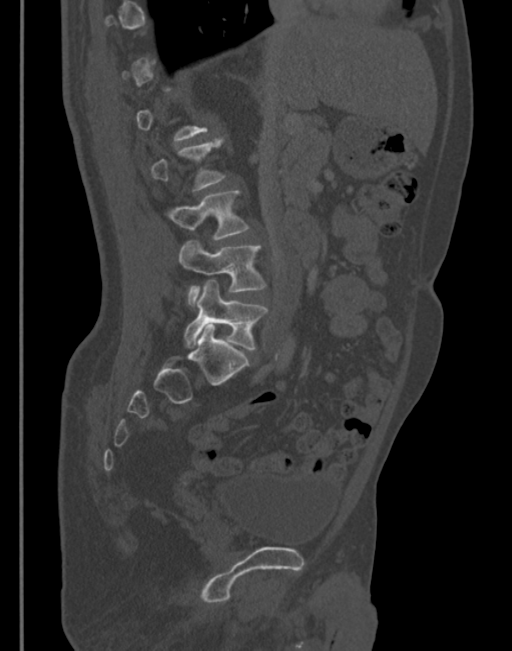 CT spine; 345 mm across the image; sagittal view. Coordinates as <box>x1,y1,x2,y2</box>.
A vertebra gets a box only on the slices from the first to the last where its cross-section is at least a third of its largest; on a slice outside that range it gets none.
L3: <box>167,191,250,239</box>
L4: <box>178,241,266,305</box>
L5: <box>184,280,267,350</box>